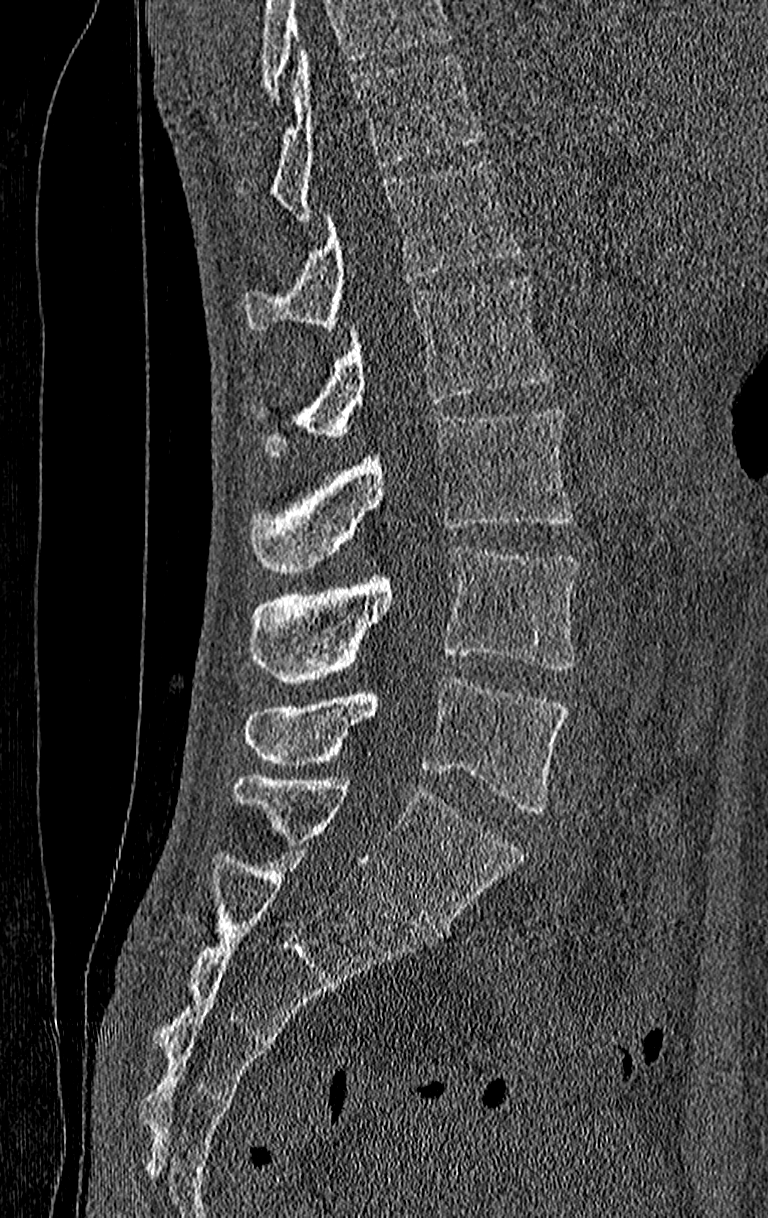
CT spine; image 210 mm wide; sagittal reformat
Where the top of the scan cuts through a vertebra, that vertebra gets no label or box.
The highest labeled vertebra in this scan is T11; the lowest is L4.
<vertebrae><v name="L4" x1="244" y1="678" x2="568" y2="812"/><v name="L3" x1="251" y1="546" x2="579" y2="684"/><v name="L2" x1="251" y1="406" x2="572" y2="573"/><v name="L1" x1="251" y1="278" x2="554" y2="457"/><v name="T12" x1="244" y1="161" x2="521" y2="330"/><v name="T11" x1="236" y1="53" x2="480" y2="220"/></vertebrae>